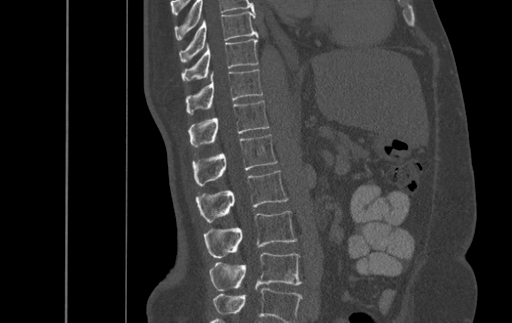
CT spine — sagittal reformat — W/L 1800/400 HU — 512x323 px — image width 500 mm
Box edges are left/top/right/bottom in pixels. In this scan, the topmost labeled vertebra is T9 and the lowest is L4. 8 vertebrae labeled — T9 at left=179, top=11, right=257, bottom=61; T10 at left=182, top=36, right=258, bottom=80; T11 at left=186, top=69, right=262, bottom=114; T12 at left=189, top=100, right=269, bottom=146; L1 at left=193, top=134, right=277, bottom=185; L2 at left=196, top=170, right=288, bottom=222; L3 at left=204, top=211, right=296, bottom=258; L4 at left=209, top=252, right=301, bottom=291.